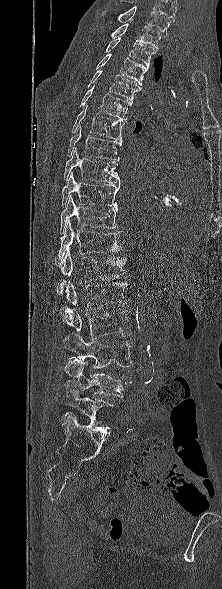
CT spine. sagittal view. 222x589 px. image 222 mm wide
In the table, x1 and y1 are a box's top-left corner and x2 and y2 its bottom-right corner, in pixels.
In this scan, the topmost labeled vertebra is T1 and the lowest is L5.
| vertebra | x1 | y1 | x2 | y2 |
|---|---|---|---|---|
| T1 | 111 | 23 | 161 | 50 |
| T2 | 105 | 37 | 155 | 65 |
| T3 | 96 | 53 | 148 | 84 |
| T4 | 87 | 70 | 141 | 101 |
| T5 | 79 | 85 | 132 | 121 |
| T6 | 71 | 104 | 125 | 140 |
| T7 | 67 | 125 | 121 | 160 |
| T8 | 64 | 148 | 120 | 184 |
| T9 | 62 | 172 | 120 | 207 |
| T10 | 60 | 195 | 117 | 234 |
| T11 | 52 | 221 | 123 | 265 |
| T12 | 57 | 250 | 127 | 294 |
| L1 | 65 | 281 | 130 | 314 |
| L2 | 62 | 306 | 131 | 339 |
| L3 | 63 | 333 | 133 | 368 |
| L4 | 59 | 359 | 131 | 397 |
| L5 | 58 | 389 | 114 | 434 |